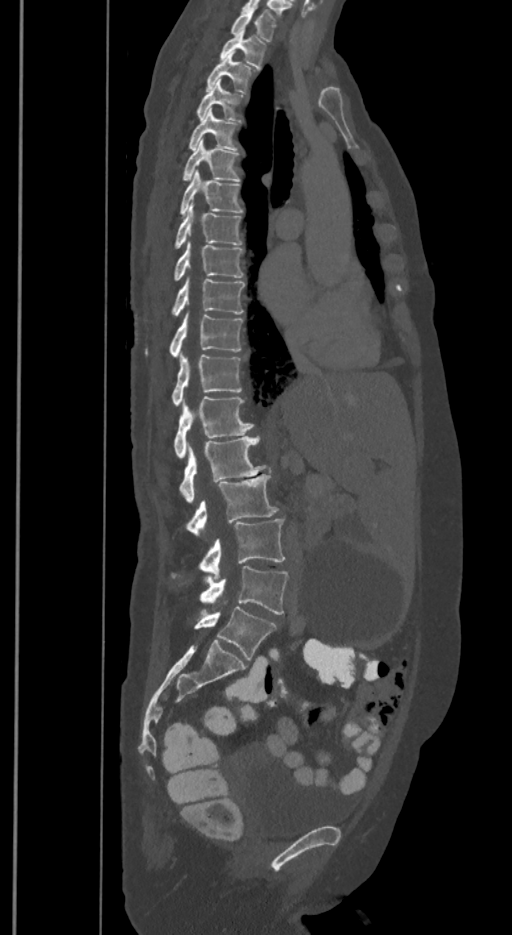 CT spine; sagittal view; 350 mm wide
Coordinates as <box>x1,y1,x2,y2</box>. In these labels the spine has an L6, a sixth lumbar vertebra below L5. Vertebrae labeled: T1 at <box>231,9,275,41</box>, T2 at <box>219,29,266,67</box>, T3 at <box>206,53,253,92</box>, T4 at <box>196,80,242,119</box>, T5 at <box>188,109,237,150</box>, T6 at <box>183,141,240,181</box>, T7 at <box>180,171,243,216</box>, T8 at <box>174,203,242,248</box>, T9 at <box>174,244,243,282</box>, T10 at <box>171,279,245,316</box>, T11 at <box>145,315,243,357</box>, T12 at <box>171,354,242,405</box>, L1 at <box>174,396,253,457</box>, L2 at <box>178,436,266,502</box>, L3 at <box>184,474,278,535</box>, L4 at <box>172,517,285,578</box>, L5 at <box>199,566,288,614</box>, L6 at <box>194,606,275,660</box>.